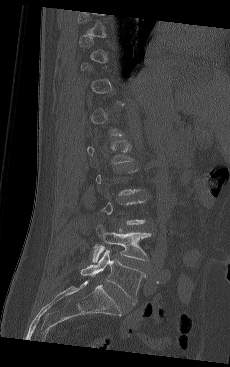

Computed tomography of the spine — sagittal reformat — 230 mm wide — 230x367 px
Box edges are left/top/right/bottom in pixels.
Each vertebra is boxed only on the slices from the first to the last where its cross-section reaches a third of its largest, so a slice outside that range leaves it unboxed.
Vertebra bounding boxes:
- L4: left=92, top=224, right=151, bottom=262
- L5: left=80, top=250, right=145, bottom=301